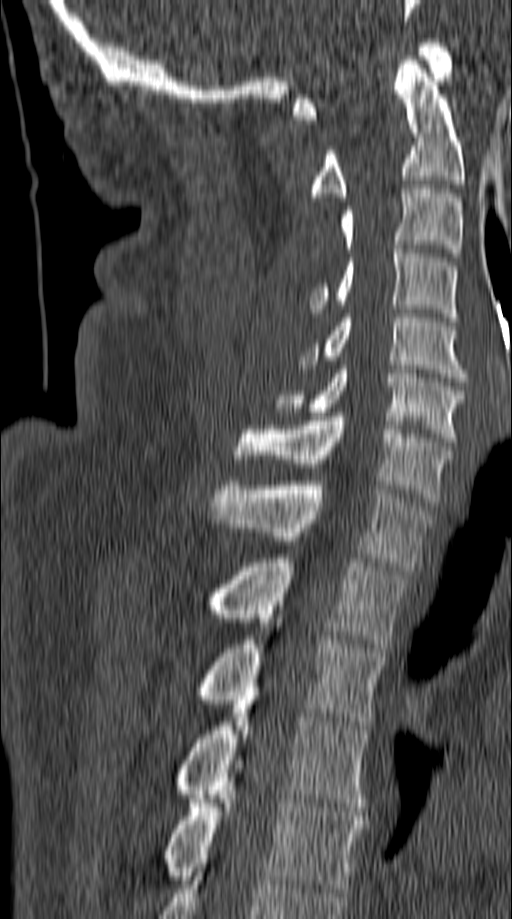

Computed tomography of the spine. sagittal view. 512x919 px. 149 mm wide. Boxes: x1 y1 x2 y2 (pixel coords, space-separated).
Vertebra bounding boxes:
- C1: 293 39 452 119
- C2: 310 56 464 197
- C3: 341 185 461 257
- C4: 310 245 457 321
- C5: 298 314 466 381
- C6: 275 365 464 441
- C7: 235 412 450 502
- T1: 211 481 433 570
- T2: 204 558 406 652
- T3: 194 619 385 725
- T4: 173 696 368 811
- T5: 163 756 364 892